Spine computed tomography — sagittal plane, index 249 — image width 486 mm
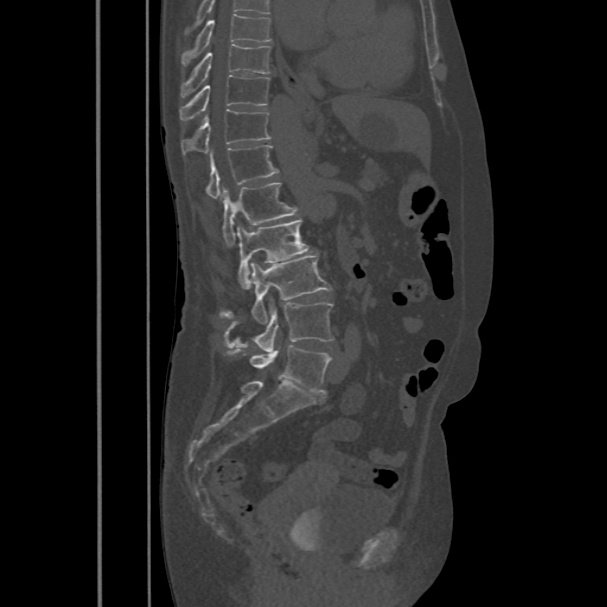

This scan's labels start at T8 at the top and end at L5 at the bottom.
<vertebrae><v name="L5" x1="250" y1="345" x2="331" y2="392"/><v name="L4" x1="225" y1="298" x2="334" y2="352"/><v name="L3" x1="219" y1="255" x2="331" y2="324"/><v name="L2" x1="236" y1="218" x2="310" y2="289"/><v name="L1" x1="223" y1="182" x2="298" y2="245"/><v name="T12" x1="206" y1="145" x2="278" y2="199"/><v name="T11" x1="181" y1="110" x2="271" y2="155"/><v name="T10" x1="179" y1="75" x2="269" y2="120"/><v name="T9" x1="180" y1="43" x2="271" y2="97"/><v name="T8" x1="181" y1="13" x2="272" y2="65"/></vertebrae>